CT spine — sagittal plane, index 259
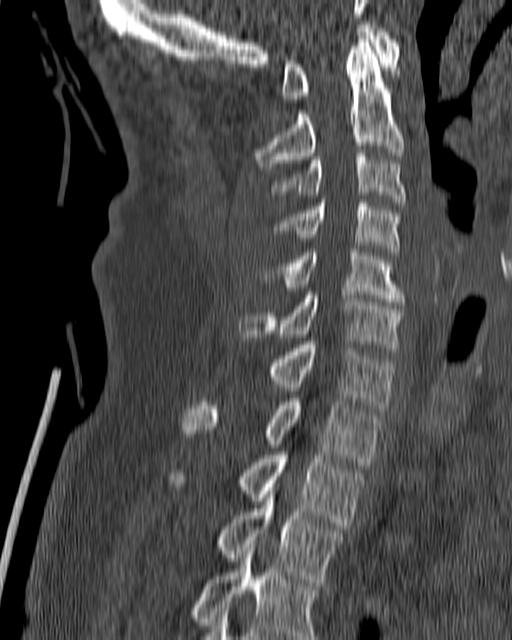 Bounding boxes as [x1, y1, x2, y2] in pixel coordinates.
T4: [191, 544, 320, 639]
T3: [214, 487, 344, 582]
T2: [169, 452, 364, 525]
T1: [183, 398, 381, 465]
C7: [265, 341, 395, 411]
C6: [239, 288, 404, 351]
C5: [263, 249, 405, 305]
C4: [275, 199, 401, 255]
C3: [269, 153, 407, 205]
C2: [251, 36, 404, 170]
C1: [282, 25, 400, 102]